Computed tomography of the spine — sagittal view — scan covers 11 annotated vertebrae
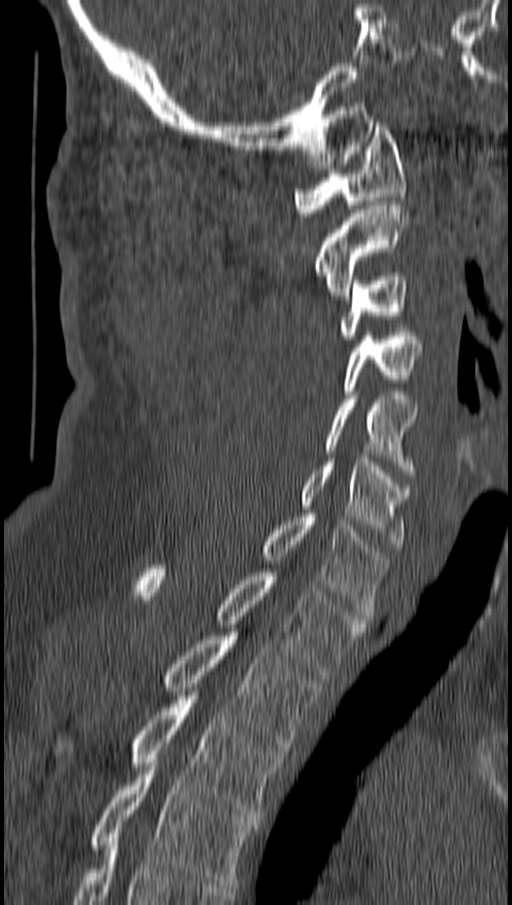 Box edges are left/top/right/bottom in pixels.
| vertebra | x1 | y1 | x2 | y2 |
|---|---|---|---|---|
| C1 | 295 | 122 | 405 | 216 |
| C2 | 314 | 201 | 408 | 295 |
| C3 | 339 | 273 | 408 | 343 |
| C4 | 342 | 328 | 423 | 394 |
| C5 | 323 | 395 | 416 | 477 |
| C6 | 301 | 458 | 411 | 548 |
| C7 | 263 | 514 | 389 | 619 |
| T1 | 136 | 565 | 364 | 675 |
| T2 | 162 | 632 | 319 | 754 |
| T3 | 55 | 691 | 285 | 817 |
| T4 | 90 | 762 | 256 | 888 |